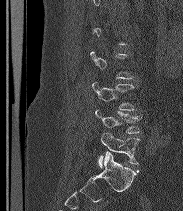
Spine CT; sagittal view; image width 183 mm

Box values are [left, top, right, bottom] in pixels.
A vertebra gets a box only on the slices from the first to the last where its cross-section is at least a third of its largest; on a slice outside that range it gets none.
These labels give the spine a sixth lumbar vertebra, L6, below L5.
{"vertebrae":{"L6":[98,132,140,167],"L5":[95,109,142,133],"L4":[92,82,136,110]}}